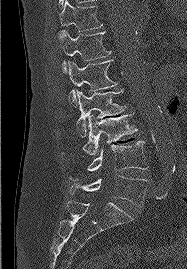 CT. sagittal view. image 187 mm wide
Box values are [left, top, right, bottom] in pixels.
{"vertebrae":{"T11":[59,0,102,35],"T12":[59,30,110,73],"L1":[68,60,117,106],"L2":[77,89,125,136],"L3":[62,113,137,155],"L4":[69,141,147,180],"L5":[69,176,146,207]}}